CT spine · sagittal view
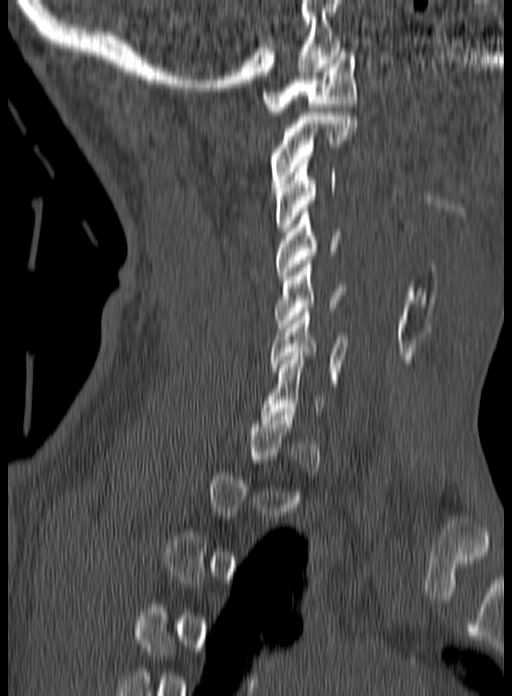
A vertebra gets a box only on the slices from the first to the last where its cross-section is at least a third of its largest; on a slice outside that range it gets none.
<vertebrae><v name="C6" x1="270" y1="308" x2="348" y2="383"/><v name="C5" x1="275" y1="260" x2="346" y2="331"/><v name="C4" x1="276" y1="208" x2="340" y2="279"/><v name="C3" x1="275" y1="160" x2="336" y2="231"/><v name="C2" x1="270" y1="112" x2="357" y2="195"/><v name="C1" x1="261" y1="48" x2="357" y2="115"/></vertebrae>